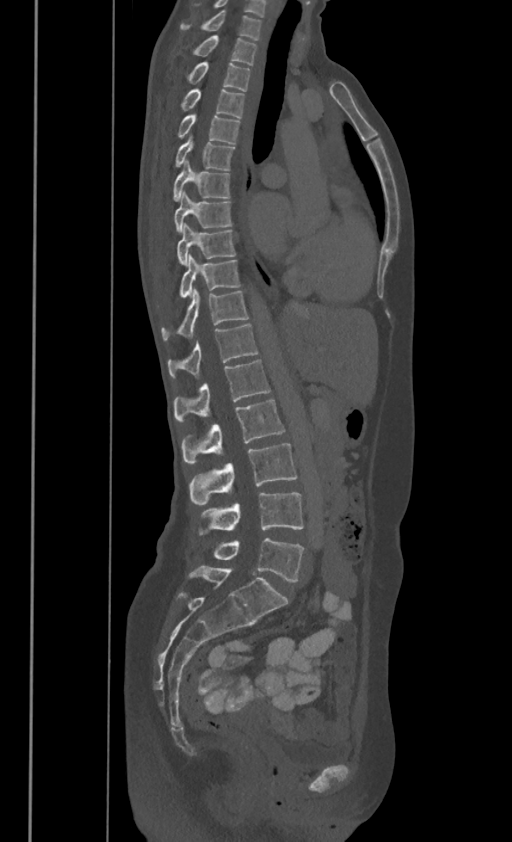 Spine CT. sagittal view. W/L 1800/400 HU
Each box is [x1, y1, x2, y2] in pixels: top-left corner, then bottom-right corner.
These labels give this spine no T12: after T11 the next vertebra is L1.
{"vertebrae":{"C7":[180,8,260,38],"T1":[193,35,256,63],"T2":[188,61,250,90],"T3":[182,87,244,117],"T4":[178,112,239,142],"T5":[175,134,234,169],"T6":[174,159,230,201],"T7":[174,191,231,231],"T8":[178,222,235,263],"T9":[180,254,239,296],"T10":[162,288,247,338],"T11":[168,324,257,375],"L1":[174,359,269,422],"L2":[182,399,284,462],"L3":[190,444,297,505],"L4":[200,493,303,534],"L5":[215,538,304,582]}}